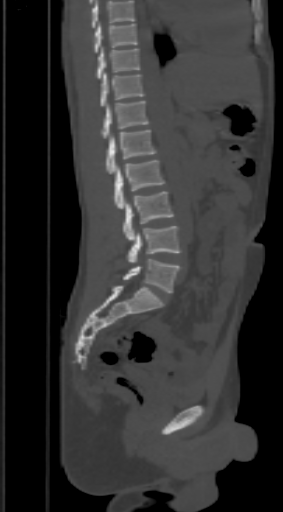
CT · sagittal view · 283x512 px · 303 mm image width
Bounding boxes as [x1, y1, x2, y2] in pixel coordinates.
Vertebrae that run past the top of the scan are left unlabeled.
Vertebra bounding boxes:
- L5: [123, 259, 178, 293]
- L4: [126, 226, 181, 262]
- L3: [123, 191, 173, 241]
- L2: [115, 160, 164, 209]
- L1: [106, 129, 156, 174]
- T12: [101, 101, 147, 138]
- T11: [101, 72, 145, 106]
- T10: [98, 47, 139, 79]
- T9: [95, 23, 136, 52]